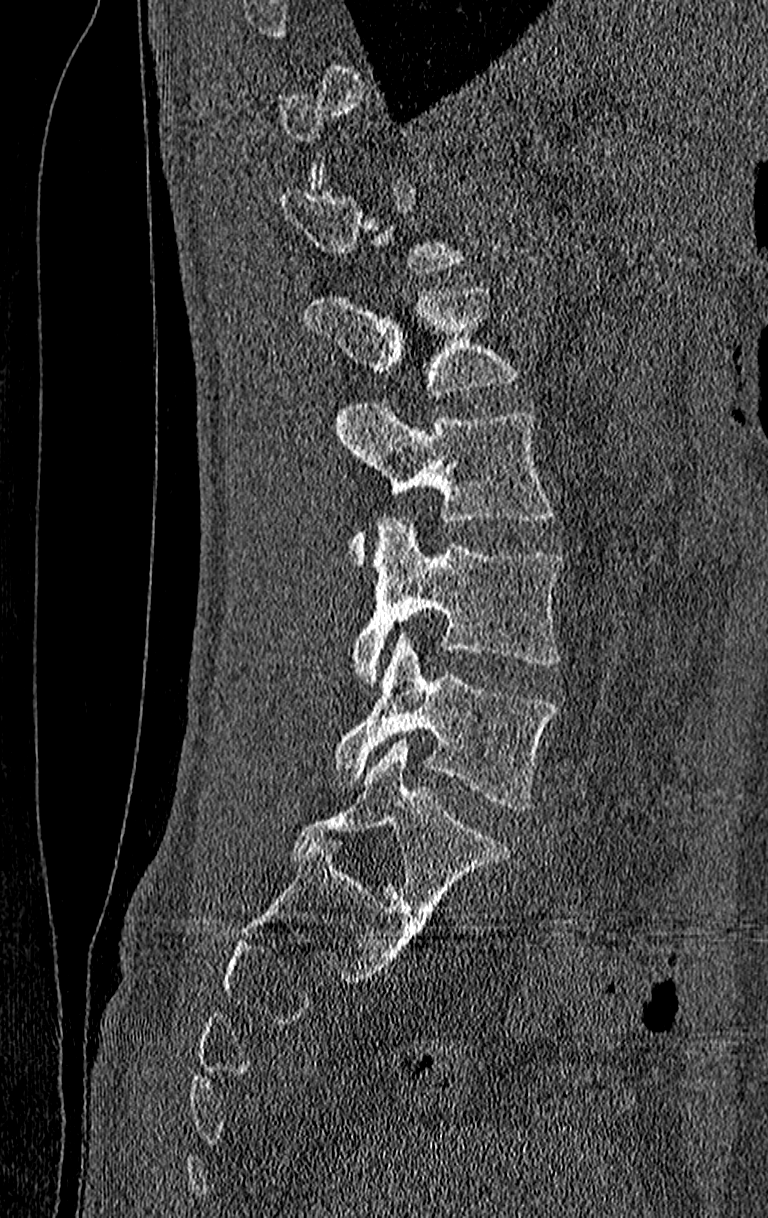

Computed tomography of the spine; sagittal view; 768x1218 px

Each box is [x1, y1, x2, y2] in pixels: top-left corner, then bottom-right corner.
A vertebra gets a box only on the slices from the first to the last where its cross-section is at least a third of its largest; on a slice outside that range it gets none.
In this scan, the topmost labeled vertebra is T11 and the lowest is L4.
{"vertebrae":{"L1":[306,286,517,396],"L2":[335,403,554,563],"L3":[353,517,561,680],"L4":[331,634,557,812]}}